Computed tomography of the spine; sagittal plane, index 192; bone-window reconstruction; 140 mm wide; part of the image has been replaced by a constant value
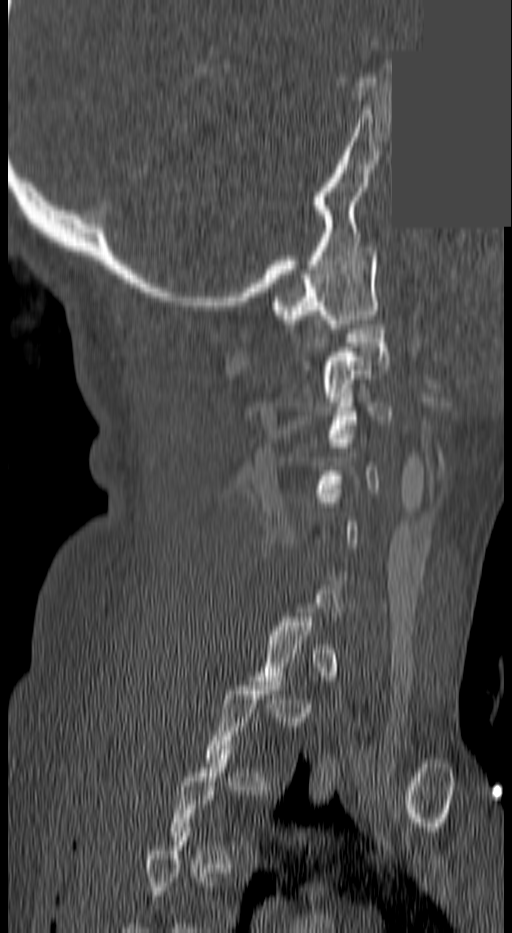

Each vertebra maps to its box as [x1, y1, x2, y2], the pixel coordinates of its top-left and bottom-right corners.
A vertebra gets a box only on the slices from the first to the last where its cross-section is at least a third of its largest; on a slice outside that range it gets none.
{"vertebrae":{"C1":[270,247,377,328],"C2":[323,320,389,401],"C3":[328,393,392,438]}}